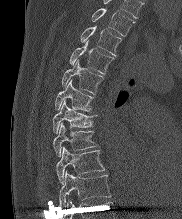
Computed tomography of the spine · sagittal view · the image is 182 mm wide
Boxes: x1:y1:x2:y2 in pixels. Labels in this scan begin with T2 at the top and end with T10 at the bottom. The labeled vertebrae in this slice are: T10 at 59:171:110:207, T9 at 56:147:104:183, T8 at 53:123:97:156, T7 at 52:101:96:133, T6 at 54:80:94:111, T5 at 61:60:104:93, T4 at 69:42:114:73, T3 at 80:26:122:55, T2 at 91:8:134:36.